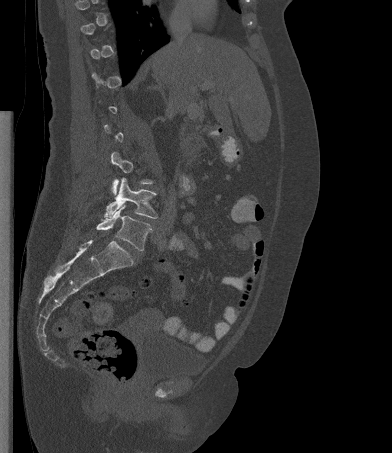
CT, spine — sagittal reformat — 392x453 px. Boxes: x1:y1:x2:y2 in pixels.
Not every vertebra on this slice has a box: a vertebra is boxed only from the first to the last slice where its cross-section is at least a third of its largest, and this slice is outside that range for at least one of them.
L4: 104:177:157:218
L5: 96:205:151:251